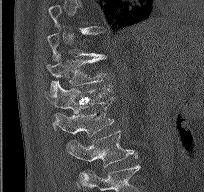
Spine CT — 204 mm across the image — sagittal reformat — W/L 1800/400 HU. Boxes: x1 y1 x2 y2 (pixel coords, space-separated). Each vertebra is boxed only on the slices from the first to the last where its cross-section reaches a third of its largest, so a slice outside that range leaves it unboxed. The highest labeled vertebra in this scan is T9; the lowest is L2. The labeled vertebrae in this slice are: T11 at 47 54 106 95, T12 at 45 80 110 129, L1 at 55 97 114 153, L2 at 68 130 137 167.